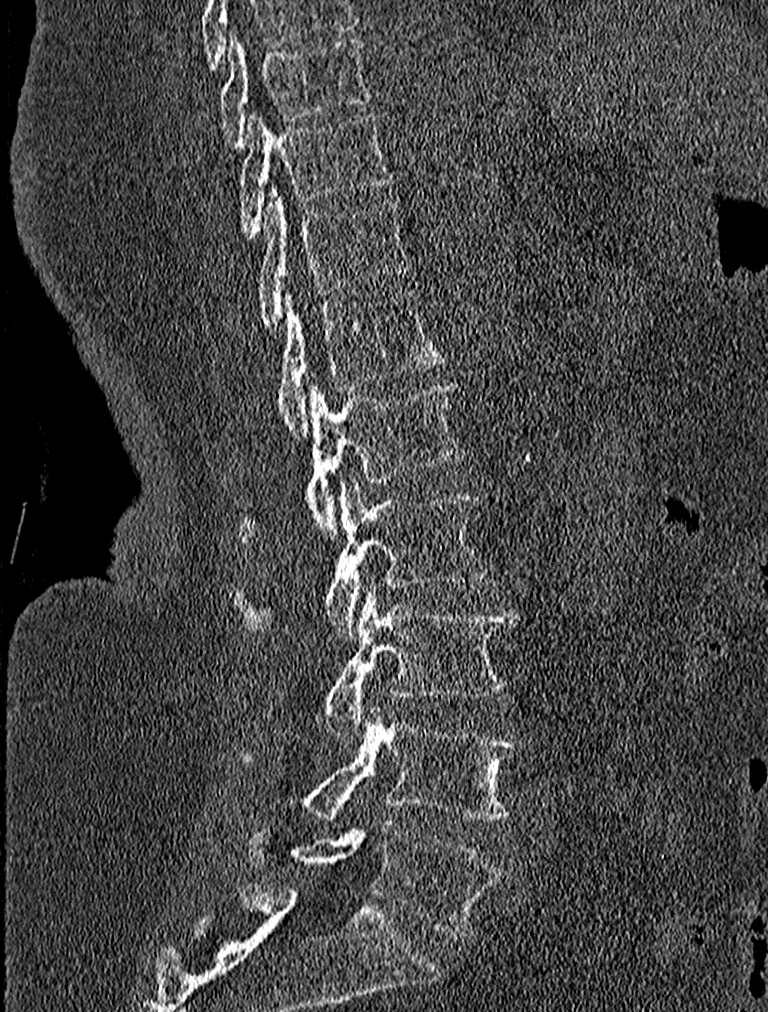
CT, spine · sagittal view · image 227 mm wide
Bounding boxes as [x1, y1, x2, y2] in pixel coordinates.
T9: [219, 33, 370, 148]
T10: [239, 111, 394, 240]
T11: [254, 187, 411, 331]
T12: [222, 288, 444, 437]
L1: [236, 382, 465, 543]
L2: [232, 481, 492, 637]
L3: [320, 586, 519, 739]
L4: [286, 709, 523, 820]
L5: [246, 821, 502, 935]